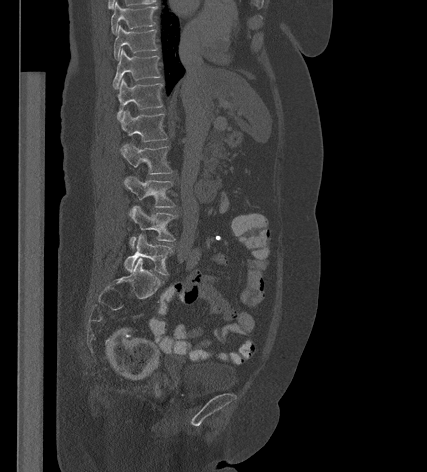 Spine CT — sagittal view
Each box is [x1, y1, x2, y2] in pixels: top-left corner, then bottom-right corner.
{"vertebrae":{"L5":[124,234,172,275],"L4":[129,206,176,247],"L3":[124,176,174,207],"L2":[120,143,172,174],"L1":[121,110,167,141],"T12":[117,78,162,119],"T11":[113,49,160,87],"T10":[114,25,157,59],"T9":[111,2,156,33]}}